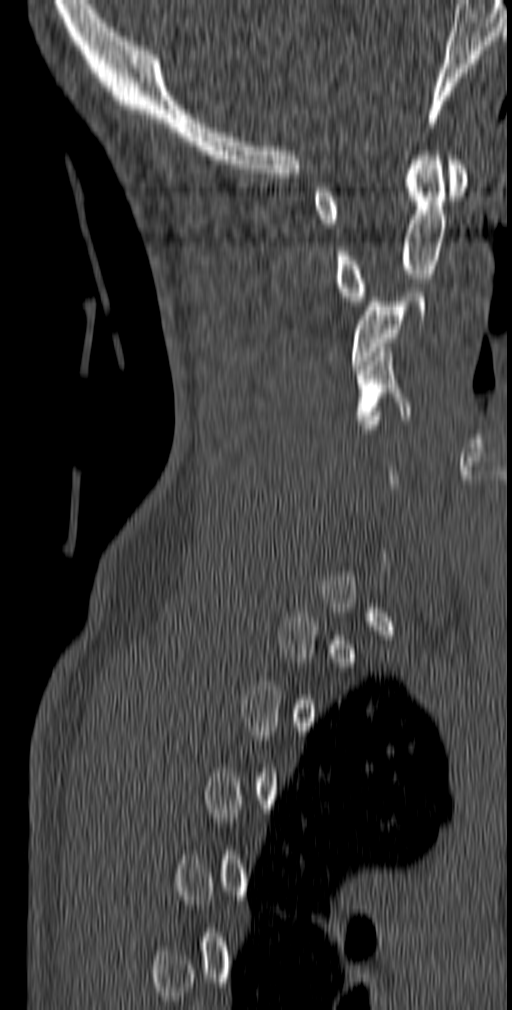 CT, spine — sagittal view — the image spans 140 mm across — 512x1010 px
Not every vertebra on this slice has a box: a vertebra is boxed only from the first to the last slice where its cross-section is at least a third of its largest, and this slice is outside that range for at least one of them.
<vertebrae><v name="C1" x1="312" y1="160" x2="468" y2="228"/><v name="C2" x1="334" y1="151" x2="445" y2="301"/><v name="C3" x1="351" y1="288" x2="428" y2="369"/><v name="C4" x1="355" y1="347" x2="411" y2="424"/></vertebrae>